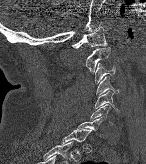

CT. sagittal view. W/L 1800/400 HU. 146x164 px
Bounding boxes as [x1, y1, x2, y2] in pixel coordinates. This scan's labels start at C1 at the top and end at T1 at the bottom. The labeled vertebrae in this slice are: T1 at [60, 129, 91, 144], C7 at [77, 117, 103, 137], C6 at [90, 104, 112, 124], C5 at [95, 91, 117, 110], C4 at [96, 76, 118, 96], C3 at [94, 63, 115, 83], C2 at [85, 47, 113, 73], C1 at [72, 26, 107, 48].